CT, spine — sagittal plane, index 262 — 512x760 px — scan covers 10 annotated vertebrae
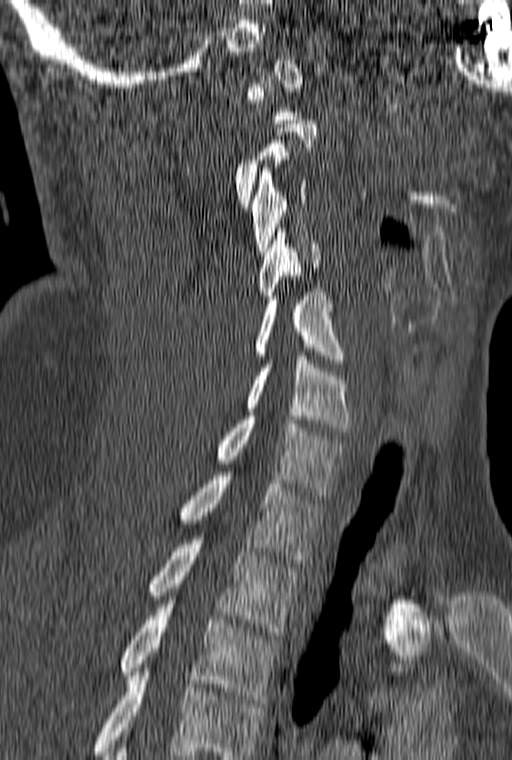

Boxes are (x1, y1, x2, y2) in pixels.
Each vertebra is boxed only on the slices from the first to the last where its cross-section reaches a third of its largest, so a slice outside that range leaves it unboxed.
In this scan, the topmost labeled vertebra is C1 and the lowest is T3.
C3: (251, 168, 310, 255)
C4: (258, 228, 320, 299)
C5: (255, 288, 343, 363)
C6: (245, 356, 349, 431)
C7: (217, 416, 346, 495)
T1: (179, 472, 326, 563)
T2: (148, 540, 298, 635)
T3: (120, 604, 279, 703)